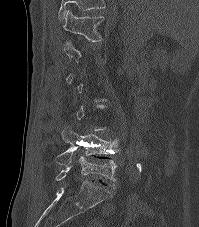

CT, spine; sagittal view; 199 mm wide
Boxes: x1:y1:x2:y2 in pixels.
A vertebra gets a box only on the slices from the first to the last where its cross-section is at least a third of its largest; on a slice outside that range it gets none.
In this scan, the topmost labeled vertebra is T12 and the lowest is L5.
Vertebra bounding boxes:
- T12: 62:10:103:41
- L4: 54:126:118:165
- L5: 56:156:117:181